Spine CT; sagittal view; image 149 mm wide
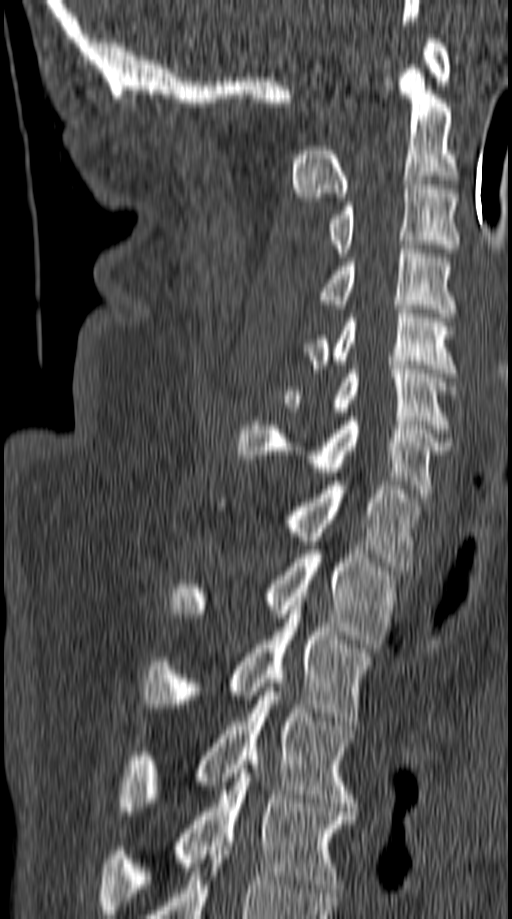 Box edges are left/top/right/bottom in pixels. 12 vertebrae labeled — C1 at left=424, top=34, right=450, bottom=85; C2 at left=290, top=64, right=454, bottom=201; C3 at left=328, top=185, right=460, bottom=257; C4 at left=320, top=245, right=454, bottom=317; C5 at left=304, top=305, right=457, bottom=377; C6 at left=283, top=365, right=454, bottom=433; C7 at left=238, top=417, right=451, bottom=497; T1 at left=286, top=481, right=419, bottom=570; T2 at left=170, top=550, right=395, bottom=652; T3 at left=142, top=606, right=371, bottom=721; T4 at left=118, top=687, right=354, bottom=815; T5 at left=101, top=760, right=354, bottom=914.